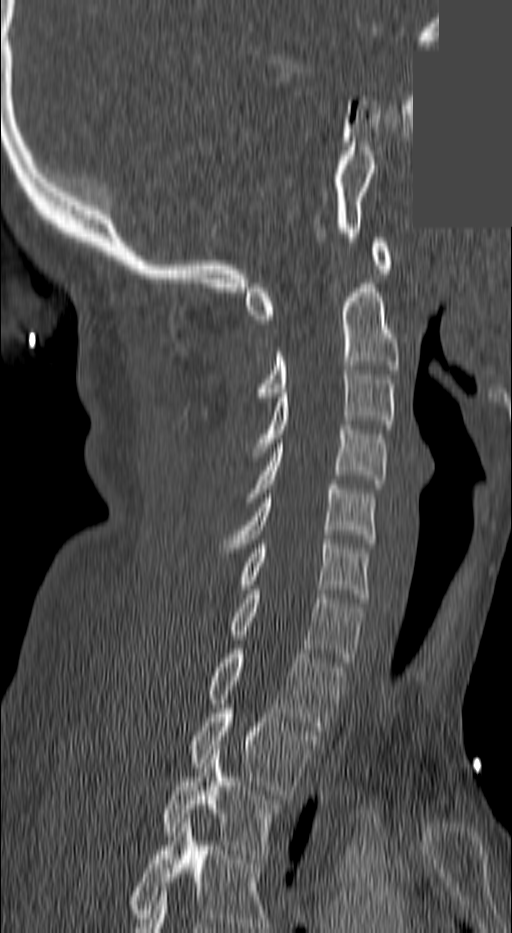 Computed tomography of the spine · sagittal view · an area of the scan was removed and filled with constant pixels
Labels in this scan begin with C1 at the top and end with T3 at the bottom.
<vertebrae><v name="T3" x1="162" y1="750" x2="282" y2="858"/><v name="T2" x1="188" y1="709" x2="315" y2="794"/><v name="T1" x1="206" y1="649" x2="344" y2="730"/><v name="C7" x1="228" y1="590" x2="362" y2="662"/><v name="C6" x1="239" y1="539" x2="370" y2="598"/><v name="C5" x1="220" y1="485" x2="373" y2="552"/><v name="C4" x1="244" y1="425" x2="388" y2="502"/><v name="C3" x1="249" y1="370" x2="395" y2="456"/><v name="C2" x1="257" y1="283" x2="399" y2="401"/><v name="C1" x1="246" y1="238" x2="392" y2="324"/></vertebrae>